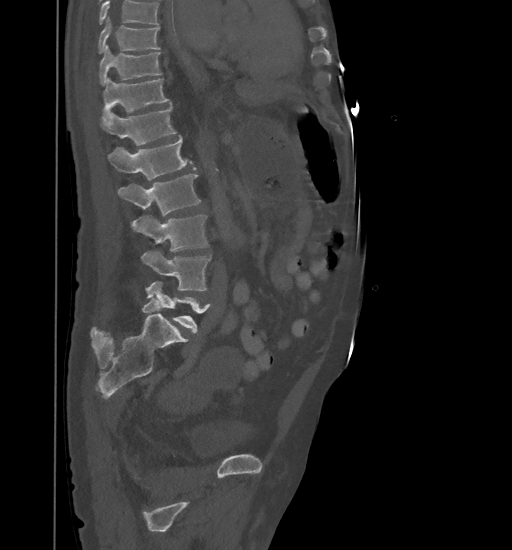 CT, spine — sagittal view — W/L 1800/400 HU

In the table, x1 and y1 are a box's top-left corner and x2 and y2 its bottom-right corner, in pixels.
A vertebra cut off by the top edge of the scan is not labeled and has no box.
| vertebra | x1 | y1 | x2 | y2 |
|---|---|---|---|---|
| T9 | 98 | 17 | 160 | 54 |
| T10 | 99 | 45 | 161 | 85 |
| T11 | 102 | 77 | 170 | 120 |
| T12 | 100 | 105 | 175 | 145 |
| L1 | 108 | 136 | 195 | 179 |
| L2 | 117 | 175 | 201 | 216 |
| L3 | 132 | 215 | 207 | 251 |
| L4 | 141 | 251 | 211 | 290 |
| L5 | 146 | 281 | 211 | 333 |